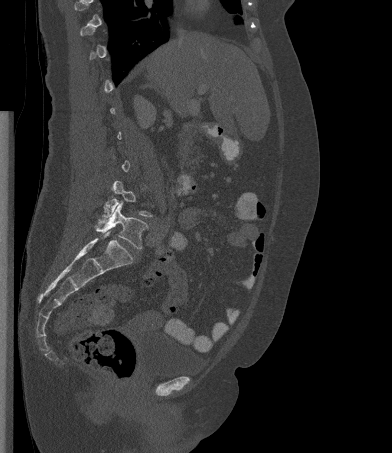

Computed tomography of the spine — sagittal view. Boxes are given in columns x1, y1, x2, y2, the pixel coordinates of their top-left and bottom-right corners.
Each vertebra is boxed only on the slices from the first to the last where its cross-section reaches a third of its largest, so a slice outside that range leaves it unboxed.
| vertebra | x1 | y1 | x2 | y2 |
|---|---|---|---|---|
| L4 | 102 | 181 | 152 | 217 |
| L5 | 95 | 203 | 148 | 249 |